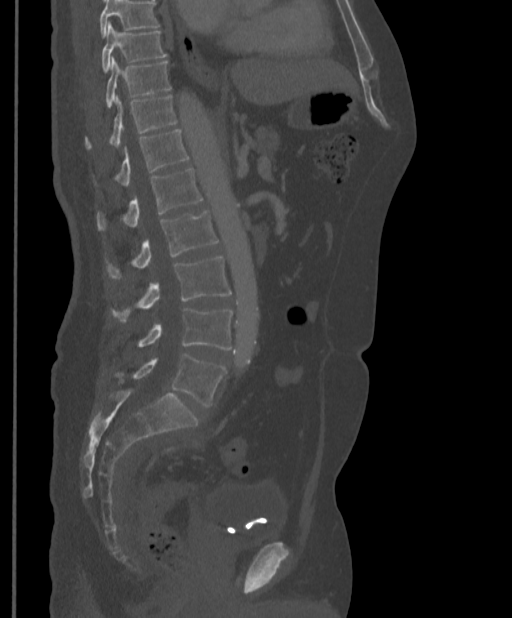

Spine computed tomography. sagittal view. image width 397 mm. bone window

Boxes: x1 y1 x2 y2 (pixel coords, space-separated).
Vertebrae that run past the top of the scan are left unlabeled.
T9: 102 22 167 73
T10: 106 57 170 107
T11: 86 95 177 147
T12: 116 129 188 186
L1: 97 168 203 230
L2: 108 210 218 278
L3: 112 257 231 321
L4: 138 308 232 350
L5: 133 353 226 407